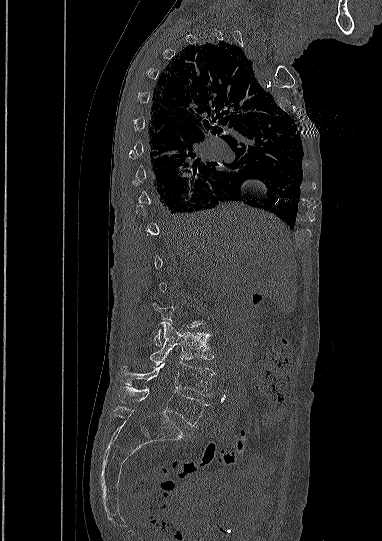

Computed tomography of the spine; sagittal view; W/L 1800/400 HU; 382x541 px. Each box given as x1,y1,x2,y2.
Not every vertebra on this slice has a box: a vertebra is boxed only from the first to the last slice where its cross-section is at least a third of its largest, and this slice is outside that range for at least one of them.
| vertebra | x1 | y1 | x2 | y2 |
|---|---|---|---|---|
| L3 | 150 | 321 | 213 | 367 |
| L4 | 122 | 361 | 215 | 396 |
| L5 | 119 | 387 | 209 | 426 |